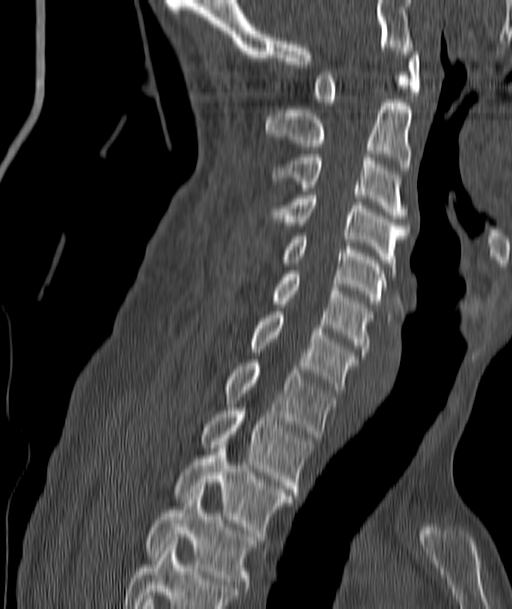

Spine CT; sagittal view; 187 mm image width

Each row gives a vertebra's box as x1, y1, x2, y2 in pixels: top-left corner, then bottom-right corner.
| vertebra | x1 | y1 | x2 | y2 |
|---|---|---|---|---|
| C1 | 313 | 48 | 419 | 105 |
| C2 | 266 | 99 | 411 | 170 |
| C3 | 272 | 151 | 408 | 218 |
| C4 | 272 | 192 | 408 | 273 |
| C5 | 283 | 233 | 386 | 304 |
| C6 | 272 | 274 | 372 | 355 |
| C7 | 250 | 311 | 356 | 389 |
| T1 | 225 | 359 | 334 | 437 |
| T2 | 201 | 411 | 312 | 495 |
| T3 | 176 | 445 | 293 | 536 |
| T4 | 146 | 493 | 254 | 588 |